CT, spine; sagittal view; Bone window (WL 400, WW 1800); 512x705 px
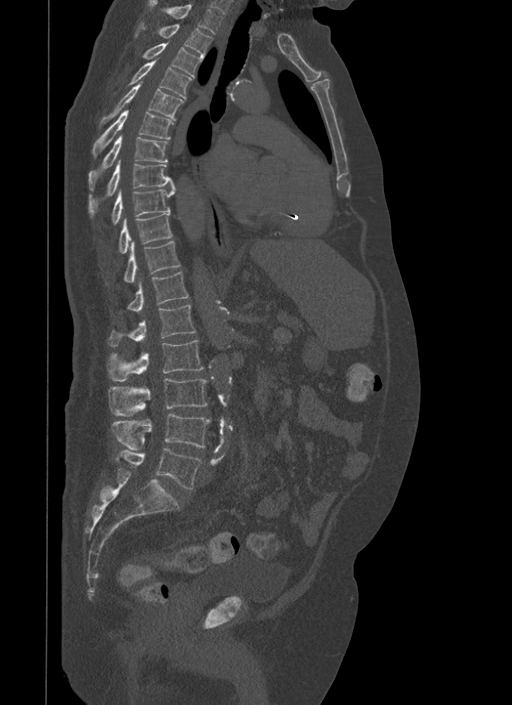
Each box is [x1, y1, x2, y2] in pixels: top-left corner, then bottom-right corner.
{"vertebrae":{"L5":[115,447,201,488],"L4":[111,414,210,450],"L3":[108,378,207,416],"L2":[106,340,204,381],"L1":[107,305,196,346],"T12":[126,271,189,311],"T11":[123,241,181,282],"T10":[118,213,172,253],"T9":[111,189,174,224],"T8":[89,161,175,217],"T7":[88,135,167,189],"T6":[92,110,173,157],"T5":[100,82,184,125],"T4":[128,59,191,99],"T3":[143,42,202,78],"T2":[136,23,212,58],"T1":[148,0,222,34]}}